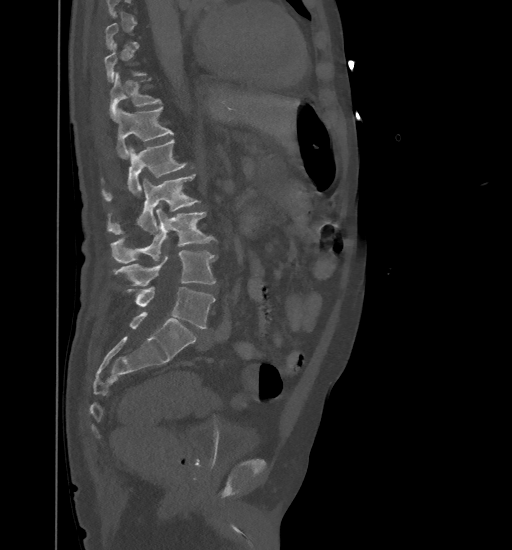
Spine CT · sagittal view · 461 mm wide · bone window
Not every vertebra on this slice has a box: a vertebra is boxed only from the first to the last slice where its cross-section is at least a third of its largest, and this slice is outside that range for at least one of them.
<vertebrae><v name="T11" x1="109" y1="73" x2="160" y2="121"/><v name="T12" x1="116" y1="107" x2="173" y2="158"/><v name="L1" x1="103" y1="140" x2="186" y2="200"/><v name="L2" x1="107" y1="173" x2="198" y2="234"/><v name="L3" x1="111" y1="207" x2="215" y2="262"/><v name="L4" x1="113" y1="250" x2="215" y2="286"/><v name="L5" x1="128" y1="287" x2="215" y2="328"/></vertebrae>